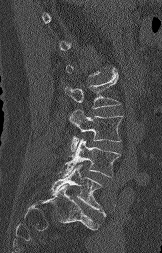 Spine CT. sagittal view. 162x253 px. Boxes: x1:y1:x2:y2 in pixels.
A vertebra gets a box only on the slices from the first to the last where its cross-section is at least a third of its largest; on a slice outside that range it gets none.
L5: 51:164:105:216
L4: 57:138:120:178
L3: 69:110:123:151
L2: 65:73:120:109